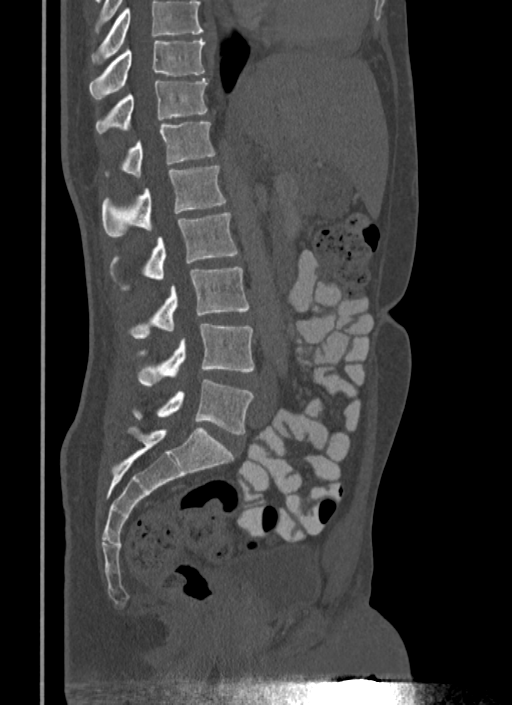
CT spine; sagittal view. Coordinates as <box>x1,y1,x2,y2</box>. Where the top of the scan cuts through a vertebra, that vertebra gets no label or box. Vertebrae labeled: T10 at <box>89,38,205,98</box>, T11 at <box>95,78,207,133</box>, T12 at <box>105,122,214,177</box>, L1 at <box>102,166,226,237</box>, L2 at <box>110,212,238,290</box>, L3 at <box>128,267,249,338</box>, L4 at <box>137,324,255,386</box>, L5 at <box>132,379,253,434</box>.